CT — the image spans 140 mm across — Sagittal slice 294/512 — Bone window (WL 400, WW 1800)
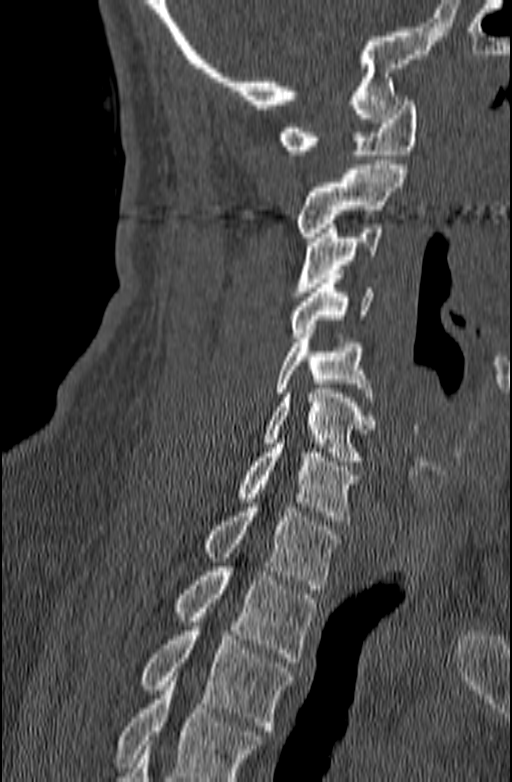

Box values are [left, top, right, bottom] in pixels.
No box is given to a vertebra that the bottom edge of the scan cuts off.
{"vertebrae":{"T3":[142,626,291,735],"T2":[173,567,316,662],"T1":[202,498,340,589],"C7":[235,443,359,525],"C6":[261,384,374,461],"C5":[275,334,376,401],"C4":[290,274,373,337],"C3":[293,224,382,296],"C2":[294,165,406,241],"C1":[278,96,417,154]}}